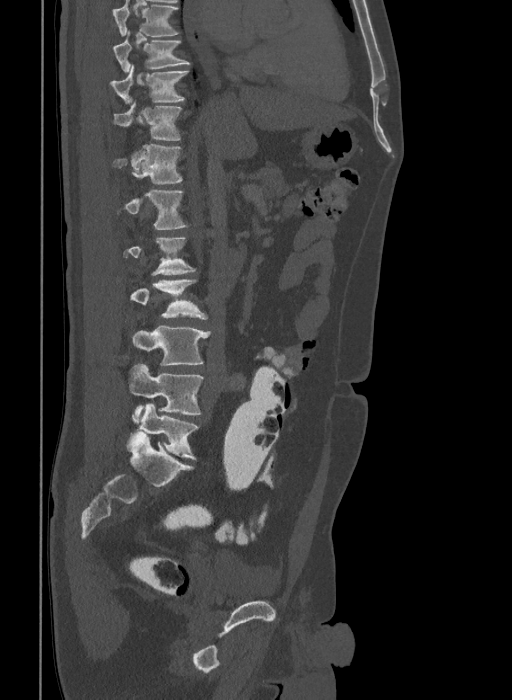 Spine computed tomography; the image is 409 mm wide; sagittal view; 512x700 px. Coordinates as <box>x1,y1,x2,y2</box>.
Not every vertebra on this slice has a box: a vertebra is boxed only from the first to the last slice where its cross-section is at least a third of its largest, and this slice is outside that range for at least one of them.
This scan's labels start at T9 at the top and end at L6 at the bottom.
The labels name a sixth lumbar vertebra for this spine: L6, after L5.
L6: <box>131,403,198,459</box>
L5: <box>129,364,203,416</box>
L4: <box>133,326,211,365</box>
L3: <box>130,279,207,319</box>
L1: <box>125,190,185,229</box>
T12: <box>113,144,182,183</box>
T11: <box>113,104,180,140</box>
T10: <box>109,65,188,103</box>
T9: <box>113,32,189,72</box>